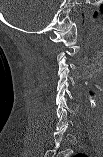

CT, spine; sagittal reformat; bone-window reconstruction; 103 mm image width; 103x157 px
In the table, x1 and y1 are a box's top-left corner and x2 and y2 its bottom-right corner, in pixels.
A vertebra is boxed only from the first to the last slice where its cross-section is at least a third of its largest; slices outside that range leave it without a box.
| vertebra | x1 | y1 | x2 | y2 |
|---|---|---|---|---|
| C1 | 49 | 22 | 76 | 45 |
| C3 | 57 | 56 | 75 | 75 |
| C4 | 57 | 69 | 74 | 90 |
| C5 | 56 | 82 | 72 | 104 |
| C6 | 56 | 96 | 78 | 117 |